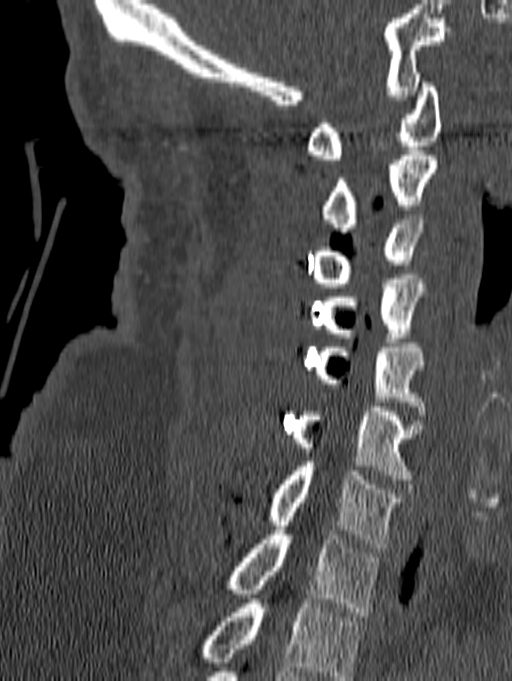

CT · sagittal view · 140 mm image width

Boxes: x1:y1:x2:y2 in pixels.
Labels in this scan begin with C1 at the top and end with T1 at the bottom.
Vertebra bounding boxes:
- C1: 305:78:441:159
- C2: 322:151:439:232
- C3: 312:215:424:287
- C4: 322:279:428:342
- C5: 313:343:425:415
- C6: 292:379:422:479
- C7: 268:462:403:548
- T1: 228:530:380:616